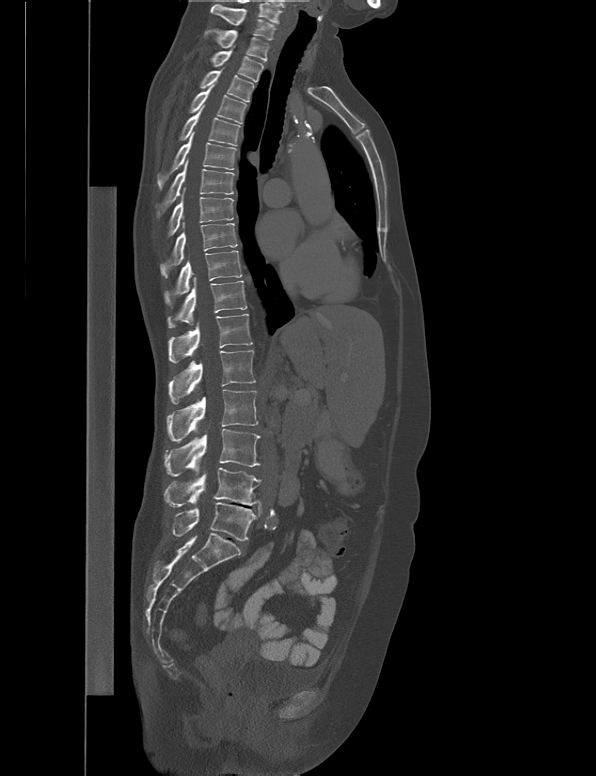

Computed tomography of the spine · sagittal view
<vertebrae><v name="C7" x1="210" y1="4" x2="275" y2="39"/><v name="T1" x1="204" y1="28" x2="270" y2="61"/><v name="T2" x1="210" y1="45" x2="263" y2="82"/><v name="T3" x1="199" y1="67" x2="253" y2="101"/><v name="T4" x1="189" y1="81" x2="247" y2="124"/><v name="T5" x1="179" y1="105" x2="240" y2="146"/><v name="T6" x1="157" y1="131" x2="237" y2="190"/><v name="T7" x1="155" y1="158" x2="234" y2="220"/><v name="T8" x1="168" y1="187" x2="234" y2="234"/><v name="T9" x1="160" y1="219" x2="237" y2="277"/><v name="T10" x1="164" y1="250" x2="242" y2="308"/><v name="T11" x1="167" y1="277" x2="247" y2="327"/><v name="T12" x1="167" y1="314" x2="252" y2="363"/><v name="L1" x1="168" y1="350" x2="255" y2="404"/><v name="L2" x1="167" y1="389" x2="258" y2="442"/><v name="L3" x1="164" y1="429" x2="260" y2="476"/><v name="L4" x1="162" y1="467" x2="261" y2="507"/><v name="L5" x1="172" y1="502" x2="257" y2="541"/></vertebrae>